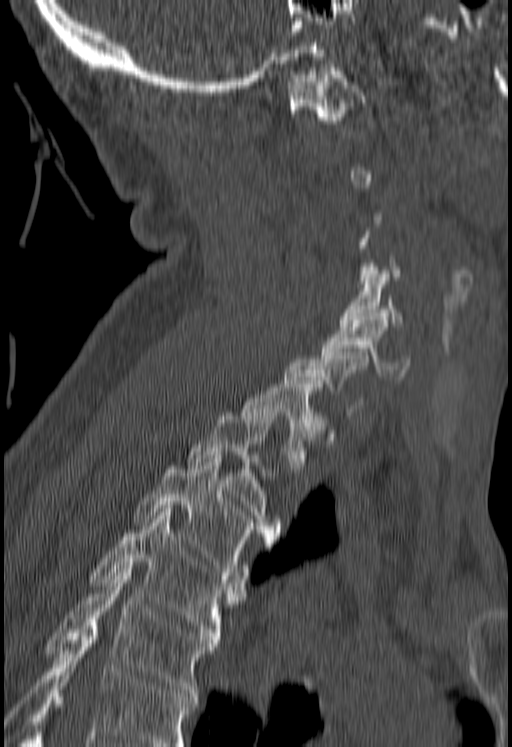

CT spine. sagittal reformat. W/L 1800/400 HU
Bounding boxes as [x1, y1, x2, y2] in pixel coordinates.
Not every vertebra on this slice has a box: a vertebra is boxed only from the first to the last slice where its cross-section is at least a third of its largest, and this slice is outside that range for at least one of them.
Vertebrae that run past the bottom of the scan are left unlabeled.
C1: [287, 68, 367, 123]
C5: [339, 270, 403, 326]
C6: [321, 316, 409, 379]
T1: [240, 384, 327, 468]
T2: [187, 412, 282, 536]
T3: [133, 459, 276, 579]
T4: [89, 512, 245, 643]
T5: [44, 569, 216, 696]